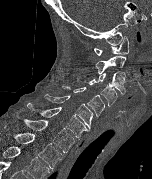 Computed tomography of the spine; sagittal view; W/L 1800/400 HU
This scan's labels start at C1 at the top and end at T2 at the bottom.
<vertebrae><v name="C1" x1="94" y1="36" x2="129" y2="55"/><v name="C2" x1="95" y1="55" x2="126" y2="74"/><v name="C3" x1="97" y1="71" x2="125" y2="95"/><v name="C4" x1="77" y1="79" x2="117" y2="106"/><v name="C5" x1="62" y1="86" x2="104" y2="117"/><v name="C6" x1="44" y1="94" x2="93" y2="129"/><v name="C7" x1="27" y1="103" x2="88" y2="137"/><v name="T1" x1="16" y1="115" x2="75" y2="152"/><v name="T2" x1="3" y1="125" x2="63" y2="168"/></vertebrae>